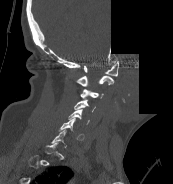

CT, spine. sagittal reformat. Bone window (WL 400, WW 1800). 173 mm across the image. 173x184 px. an area of the scan was removed and filled with constant pixels

Bounding boxes as [x1, y1, x2, y2] in pixel coordinates. A vertebra gets a box only on the slices from the first to the last where its cross-section is at least a third of its largest; on a slice outside that range it gets none. 6 vertebrae labeled — C1 at [84, 61, 118, 76]; C2 at [76, 76, 113, 86]; C3 at [80, 88, 104, 99]; C4 at [74, 100, 95, 112]; C5 at [68, 109, 89, 124]; C6 at [59, 118, 84, 139].